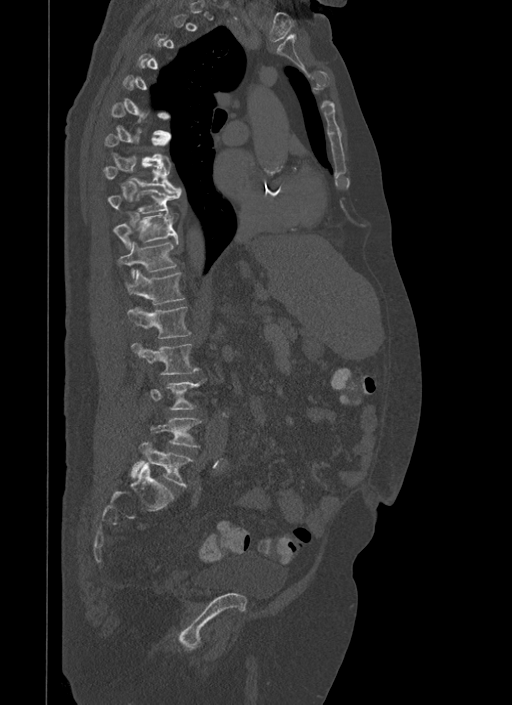 CT spine · sagittal view · W/L 1800/400 HU · 512x705 px
In the table, x1 and y1 are a box's top-left corner and x2 and y2 its bottom-right corner, in pixels.
Not every vertebra on this slice has a box: a vertebra is boxed only from the first to the last slice where its cross-section is at least a third of its largest, and this slice is outside that range for at least one of them.
| vertebra | x1 | y1 | x2 | y2 |
|---|---|---|---|---|
| T8 | 102 | 162 | 181 | 192 |
| T9 | 106 | 190 | 181 | 213 |
| T10 | 114 | 211 | 178 | 248 |
| T11 | 117 | 240 | 177 | 278 |
| T12 | 126 | 269 | 185 | 304 |
| L1 | 127 | 307 | 191 | 338 |
| L2 | 131 | 343 | 198 | 374 |
| L4 | 151 | 418 | 201 | 446 |
| L5 | 132 | 442 | 192 | 486 |